CT; sagittal reformat; Bone window (WL 400, WW 1800)
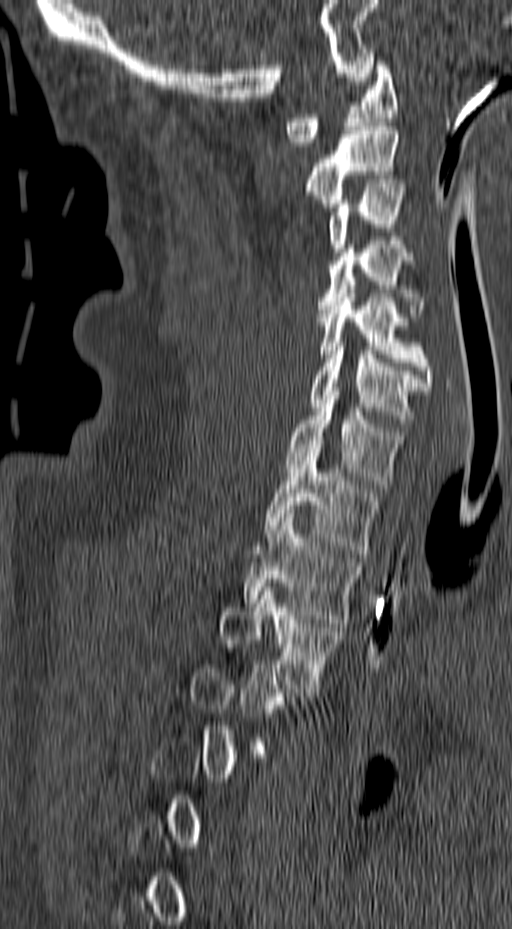
Each box given as x1,y1,x2,y2.
A vertebra is boxed only from the first to the last slice where its cross-section is at least a third of its largest; slices outside that range leave it without a box.
C1: x1=283, y1=57, x2=398, y2=146
C2: x1=304, y1=122, x2=403, y2=207
C3: x1=327, y1=183, x2=406, y2=252
C4: x1=317, y1=241, x2=424, y2=317
C5: x1=317, y1=289, x2=433, y2=386
C6: x1=310, y1=338, x2=428, y2=431
C7: x1=285, y1=387, x2=405, y2=488
T1: x1=265, y1=448, x2=378, y2=553
T2: x1=242, y1=514, x2=359, y2=627
T3: x1=220, y1=583, x2=343, y2=692